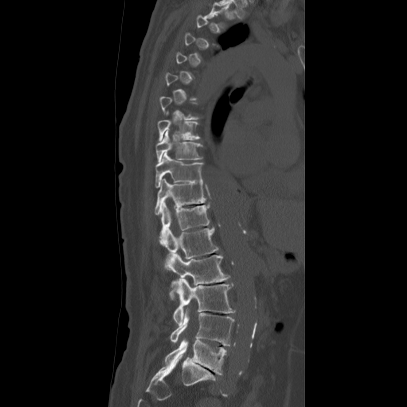 CT spine · sagittal view
Box values are [left, top, right, bottom] in pixels.
A vertebra is boxed only from the first to the last slice where its cross-section is at least a third of its largest; slices outside that range leave it without a box.
{"vertebrae":{"T8":[156,119,198,140],"T9":[156,130,203,162],"T10":[154,151,203,187],"T11":[154,178,206,215],"T12":[160,203,209,230],"L1":[158,227,218,258],"L2":[164,251,228,298],"L3":[170,277,234,325],"L4":[170,308,234,346],"L5":[164,338,225,375]}}